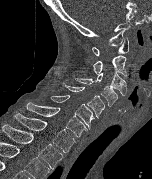 Spine CT · sagittal view · Bone window (WL 400, WW 1800) · image width 152 mm

Each vertebra maps to its box as [x1, y1, x2, y2], the pixel coordinates of its top-left and bottom-right corners.
{"vertebrae":{"C1":[92,37,128,56],"C2":[93,55,126,76],"C3":[96,72,127,96],"C4":[74,78,117,106],"C5":[65,85,104,118],"C6":[48,95,94,129],"C7":[25,102,87,137],"T1":[14,113,76,152],"T2":[1,124,64,169]}}